CT spine. sagittal plane, index 202
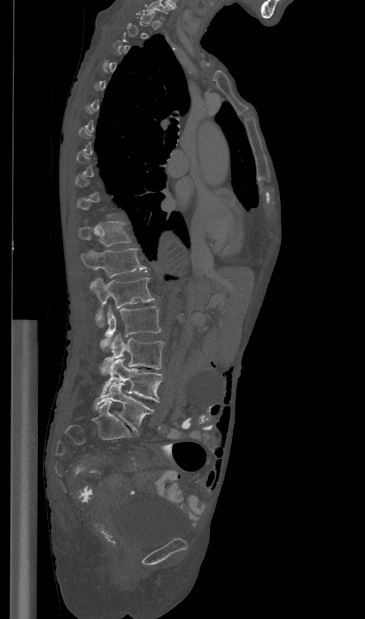

Boxes: x1:y1:x2:y2 in pixels. A vertebra gets a box only on the slices from the first to the last where its cross-section is at least a third of its largest; on a slice outside that range it gets none. The labeled vertebrae in this slice are: T11 at 79:221:131:246, T12 at 80:248:146:277, L1 at 90:278:154:326, L2 at 100:306:161:349, L3 at 100:334:164:374, L4 at 102:358:162:402, L5 at 93:382:153:433.